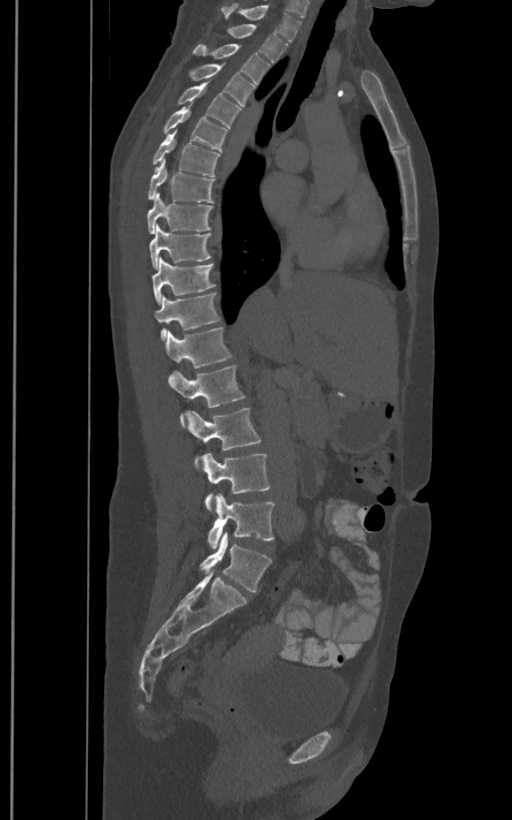

Computed tomography of the spine — sagittal view — 512x820 px
In these labels the spine has an L6, a sixth lumbar vertebra below L5.
<vertebrae><v name="T1" x1="221" y1="3" x2="301" y2="42"/><v name="T2" x1="225" y1="24" x2="288" y2="62"/><v name="T3" x1="193" y1="44" x2="270" y2="84"/><v name="T4" x1="187" y1="63" x2="256" y2="106"/><v name="T5" x1="175" y1="83" x2="242" y2="127"/><v name="T6" x1="162" y1="106" x2="228" y2="151"/><v name="T7" x1="151" y1="131" x2="220" y2="176"/><v name="T8" x1="147" y1="159" x2="214" y2="203"/><v name="T9" x1="147" y1="194" x2="213" y2="233"/><v name="T10" x1="150" y1="225" x2="211" y2="269"/><v name="T11" x1="152" y1="257" x2="215" y2="303"/><v name="T12" x1="155" y1="293" x2="222" y2="341"/><v name="L1" x1="165" y1="327" x2="232" y2="368"/><v name="L2" x1="169" y1="365" x2="246" y2="428"/><v name="L3" x1="187" y1="407" x2="261" y2="470"/><v name="L4" x1="203" y1="453" x2="270" y2="512"/><v name="L5" x1="207" y1="494" x2="275" y2="549"/><v name="L6" x1="200" y1="532" x2="271" y2="591"/></vertebrae>